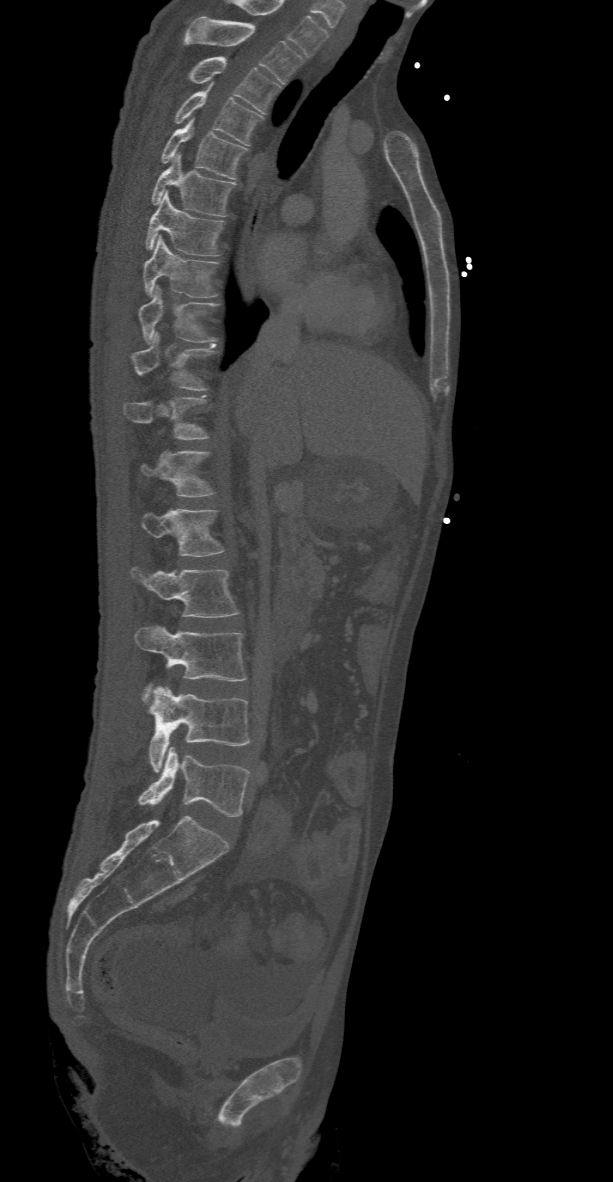 Spine computed tomography. sagittal view. the image is 368 mm wide
Coordinates as <box>x1,y1,x2,y2</box>. Vertebrae labeled: T2 at <box>183,16,302,83</box>, T3 at <box>188,56,281,113</box>, T4 at <box>175,84,264,145</box>, T5 at <box>161,118,247,178</box>, T6 at <box>151,154,235,216</box>, T7 at <box>145,191,224,256</box>, T8 at <box>143,236,218,296</box>, T9 at <box>138,286,218,341</box>, T10 at <box>132,332,216,390</box>, T11 at <box>123,396,207,440</box>, T12 at <box>141,450,213,496</box>, L1 at <box>141,509,224,556</box>, L2 at <box>129,567,239,618</box>, L3 at <box>134,626,246,700</box>, L4 at <box>149,686,251,771</box>, L5 at <box>138,747,248,816</box>.